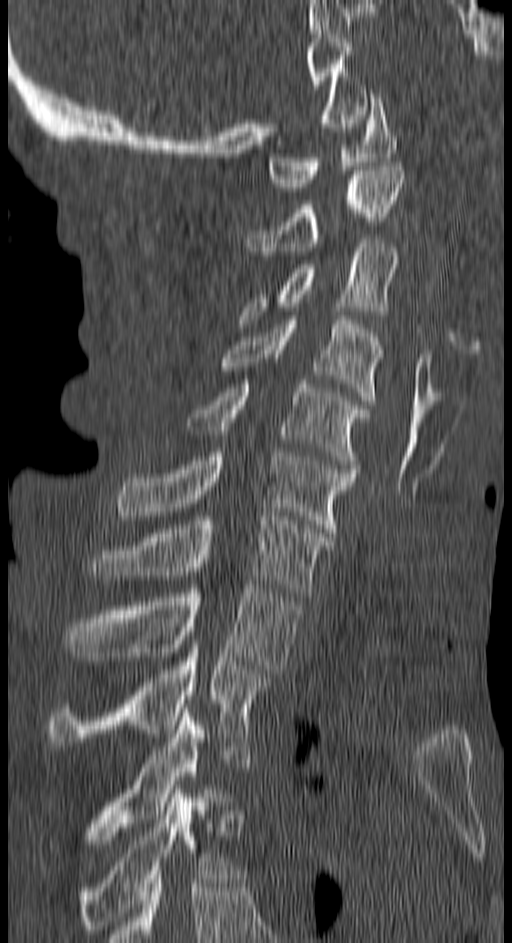 Computed tomography of the spine; sagittal view; the image spans 150 mm across
Each row gives a vertebra's box as x1, y1, x2, y2 in pixels: top-left corner, then bottom-right corner.
| vertebra | x1 | y1 | x2 | y2 |
|---|---|---|---|---|
| C1 | 267 | 94 | 396 | 187 |
| C2 | 247 | 166 | 405 | 251 |
| C3 | 239 | 239 | 400 | 323 |
| C4 | 220 | 316 | 383 | 404 |
| C5 | 186 | 380 | 369 | 468 |
| C6 | 114 | 452 | 355 | 537 |
| C7 | 90 | 516 | 331 | 596 |
| T1 | 66 | 585 | 300 | 673 |
| T2 | 49 | 644 | 272 | 746 |
| T3 | 97 | 708 | 212 | 831 |
| T4 | 76 | 789 | 232 | 933 |